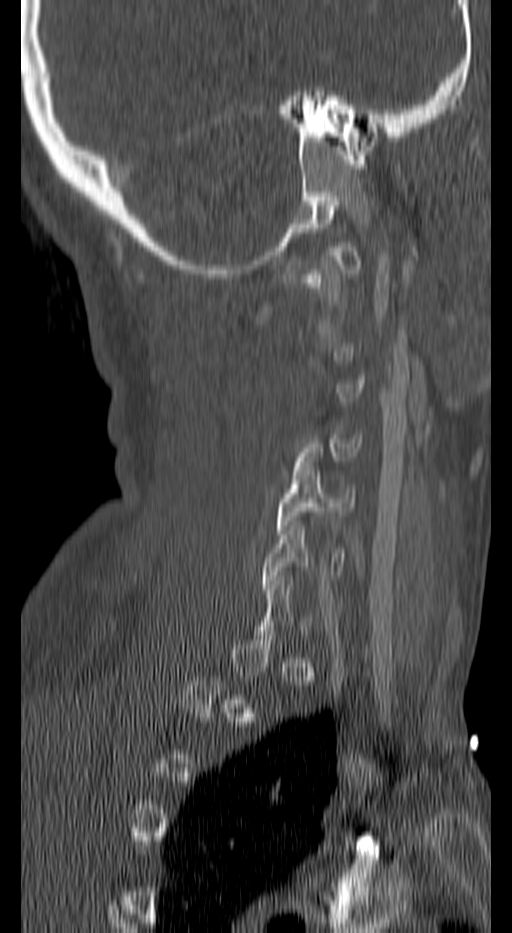 Spine computed tomography — sagittal view — bone window. Box edges are left/top/right/bottom in pixels.
Each vertebra is boxed only on the slices from the first to the last where its cross-section reaches a third of its largest, so a slice outside that range leaves it unboxed.
Vertebra bounding boxes:
- C4: left=294, top=434, right=362, bottom=470
- C5: left=276, top=466, right=355, bottom=534
- C6: left=261, top=521, right=345, bottom=589